Spine computed tomography; sagittal reformat; 512x747 px; 12 vertebrae labeled in this scan
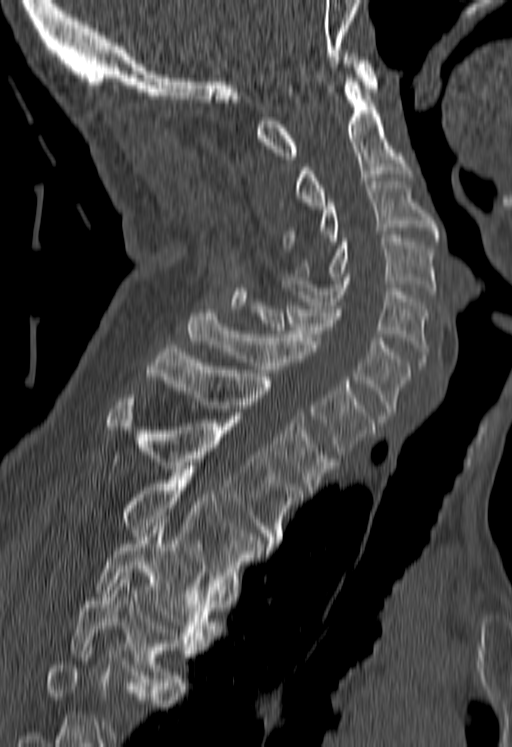
Boxes are given in columns x1, y1, x2, y2, the pixel coordinates of their top-left and bottom-right corners.
A vertebra cut off by the bottom edge of the scan is not labeled and has no box.
| vertebra | x1 | y1 | x2 | y2 |
|---|---|---|---|---|
| C1 | 256 | 53 | 377 | 159 |
| C2 | 294 | 78 | 410 | 209 |
| C3 | 283 | 181 | 438 | 248 |
| C4 | 294 | 235 | 435 | 294 |
| C5 | 280 | 277 | 427 | 365 |
| C6 | 249 | 302 | 410 | 419 |
| C7 | 189 | 309 | 375 | 454 |
| T1 | 146 | 345 | 336 | 493 |
| T2 | 106 | 398 | 301 | 547 |
| T3 | 123 | 469 | 270 | 582 |
| T4 | 94 | 523 | 219 | 643 |
| T5 | 71 | 572 | 196 | 689 |